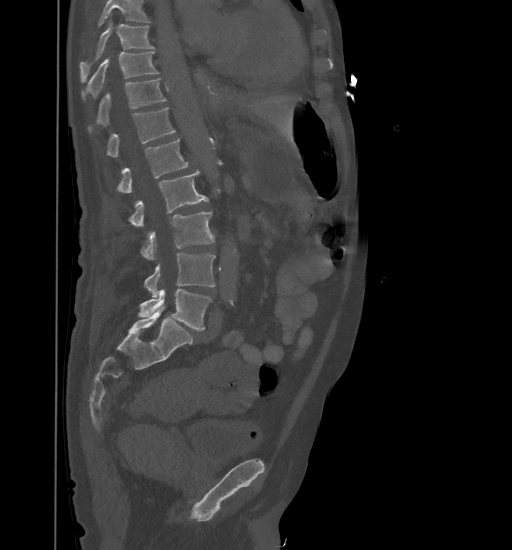 Spine CT — sagittal reformat — Bone window (WL 400, WW 1800). Box edges are left/top/right/bottom in pixels.
No box is given to a vertebra that the top edge of the scan cuts off.
T9: left=80, top=19, right=154, bottom=80
T10: left=82, top=51, right=159, bottom=99
T11: left=88, top=78, right=166, bottom=132
T12: left=106, top=108, right=175, bottom=157
L1: left=117, top=139, right=188, bottom=192
L2: left=128, top=170, right=208, bottom=226
L3: left=141, top=211, right=214, bottom=259
L4: left=143, top=252, right=215, bottom=297
L5: left=138, top=289, right=212, bottom=330